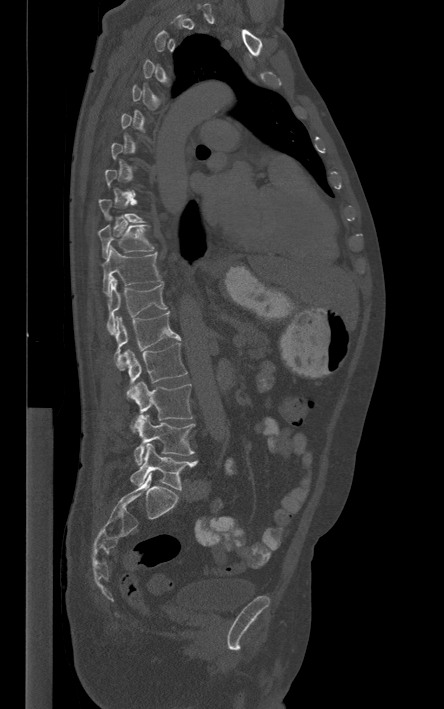
Spine CT — sagittal view — 444x709 px

Coordinates as <box>x1,y1,x2,y2</box>. A vertebra gets a box only on the slices from the first to the last where its cross-section is at least a third of its largest; on a slice outside that range it gets none. Vertebrae labeled: L5 at <box>130,443,197,490</box>, L4 at <box>134,414,195,465</box>, L3 at <box>127,381,193,434</box>, L2 at <box>123,343,187,383</box>, L1 at <box>114,312,180,370</box>, T12 at <box>106,276,167,335</box>, T11 at <box>102,246,161,296</box>, T10 at <box>99,225,154,258</box>.